CT spine · sagittal reformat · scan covers 9 annotated vertebrae
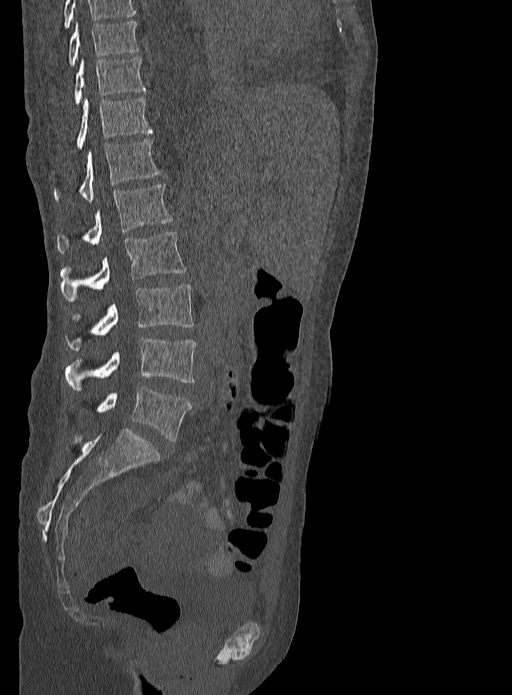
Bounding boxes as [x1, y1, x2, y2] in pixel coordinates.
This scan's labels start at T9 at the top and end at L5 at the bottom.
Vertebra bounding boxes:
- T9: [67, 20, 139, 65]
- T10: [74, 57, 145, 104]
- T11: [75, 97, 152, 148]
- T12: [54, 138, 159, 202]
- L1: [57, 183, 172, 253]
- L2: [60, 232, 186, 302]
- L3: [66, 284, 194, 351]
- L4: [64, 337, 196, 391]
- L5: [95, 387, 191, 440]